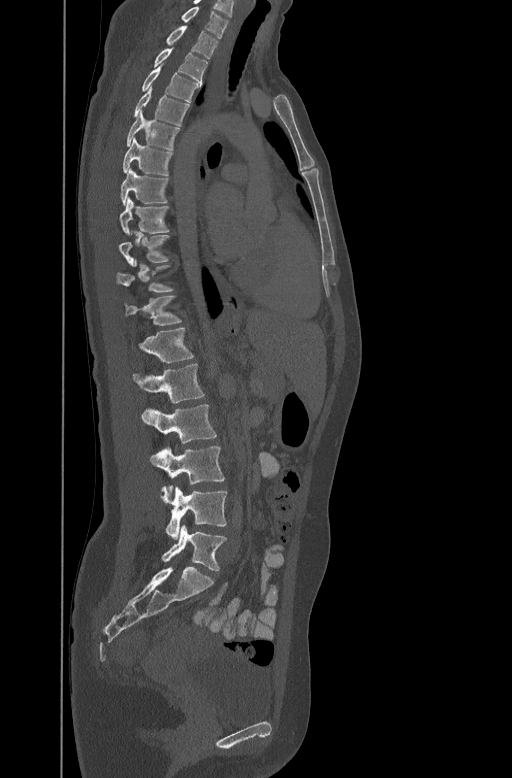
CT spine; sagittal view; image 447 mm wide; bone window
Each box is [x1, y1, x2, y2] in pixels: top-left corner, then bottom-right corner.
A vertebra is boxed only from the first to the last slice where its cross-section is at least a third of its largest; slices outside that range leave it without a box.
{"vertebrae":{"L5":[161,525,227,570],"L4":[160,487,227,539],"L3":[150,446,225,495],"L2":[142,404,217,443],"L1":[132,363,204,403],"T12":[139,326,194,362],"T11":[125,294,182,324],"T9":[119,233,170,265],"T8":[119,197,168,232],"T7":[120,167,168,204],"T6":[122,137,172,174],"T5":[126,110,180,148],"T4":[133,86,189,124],"T3":[142,66,199,100],"T2":[153,47,207,81],"T1":[167,25,218,58],"C7":[181,5,228,37]}}